Computed tomography of the spine · sagittal view · 300x346 px
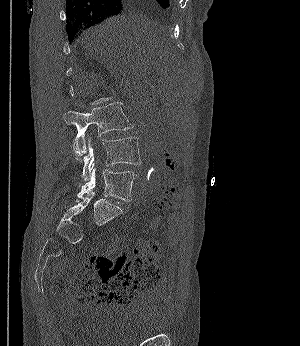
Boxes below are [x1, y1, x2, y2] in pixels.
A vertebra gets a box only on the slices from the first to the last where its cross-section is at least a third of its largest; on a slice outside that range it gets none.
{"vertebrae":{"L5":[77,167,137,201],"L4":[71,136,141,180],"L3":[65,102,132,156]}}